Computed tomography of the spine; Sagittal slice 305/512; Bone window (WL 400, WW 1800)
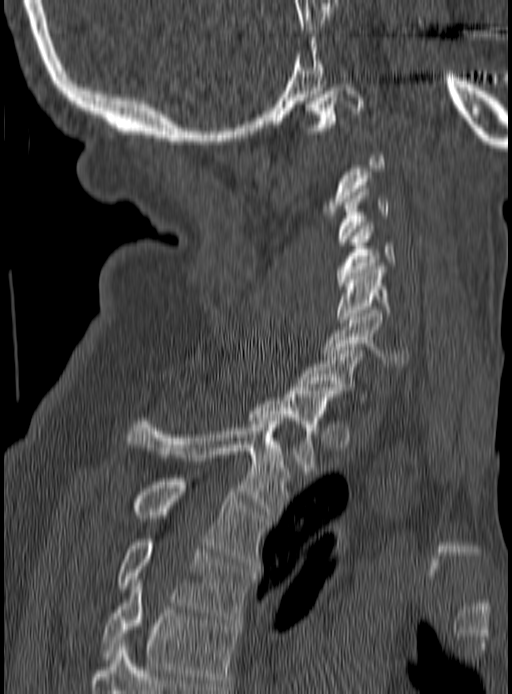 Each vertebra maps to its box as [x1, y1, x2, y2], the pixel coordinates of its top-left and bottom-right corners.
A vertebra is boxed only from the first to the last slice where its cross-section is at least a third of its largest; slices outside that range leave it without a box.
{"vertebrae":{"C1":[303,84,364,134],"C3":[338,185,390,245],"C4":[336,222,395,289],"C5":[337,266,391,322],"C6":[322,310,410,366],"C7":[297,347,368,403],"T1":[249,387,334,471],"T2":[128,418,291,518],"T3":[133,478,267,565],"T4":[117,539,253,622],"T5":[101,579,237,686]}}